CT. Sagittal slice 239/512. 556x678 px. the image is 500 mm wide
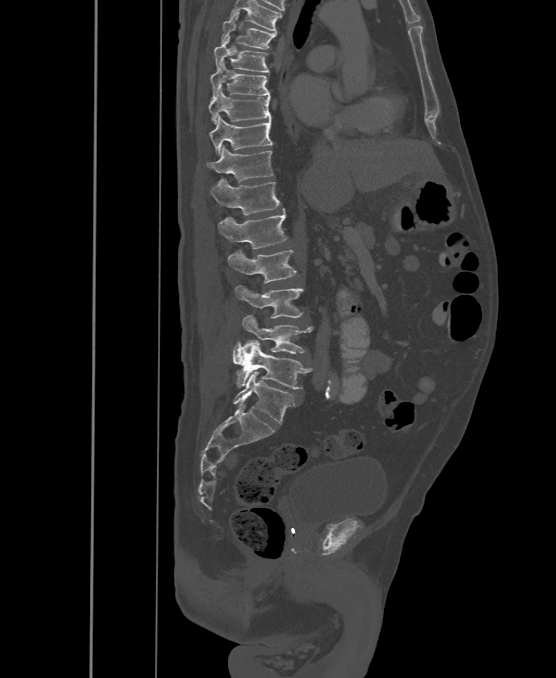 Boxes are given in columns x1, y1, x2, y2, the pixel coordinates of their top-left and bottom-right corners.
In this scan, the topmost labeled vertebra is T6 and the lowest is L6.
The labels name a sixth lumbar vertebra for this spine: L6, after L5.
| vertebra | x1 | y1 | x2 | y2 |
|---|---|---|---|---|
| T6 | 221 | 12 | 276 | 48 |
| T7 | 215 | 36 | 269 | 73 |
| T8 | 211 | 61 | 270 | 99 |
| T9 | 209 | 88 | 271 | 124 |
| T10 | 211 | 116 | 272 | 155 |
| T11 | 208 | 146 | 274 | 182 |
| T12 | 211 | 179 | 280 | 215 |
| L1 | 218 | 208 | 287 | 248 |
| L2 | 228 | 249 | 296 | 283 |
| L3 | 235 | 285 | 304 | 318 |
| L4 | 242 | 315 | 313 | 354 |
| L5 | 233 | 339 | 312 | 388 |
| L6 | 233 | 371 | 294 | 424 |